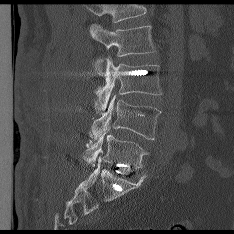

Spine computed tomography. 234 mm across the image. sagittal reformat. W/L 1800/400 HU
Box edges are left/top/right/bottom in pixels.
No box is given to a vertebra that the top edge of the scan cuts off.
Vertebra bounding boxes:
- L2: left=91, top=24, right=155, bottom=75
- L3: left=94, top=57, right=161, bottom=111
- L4: left=89, top=95, right=160, bottom=140
- L5: left=83, top=127, right=148, bottom=168